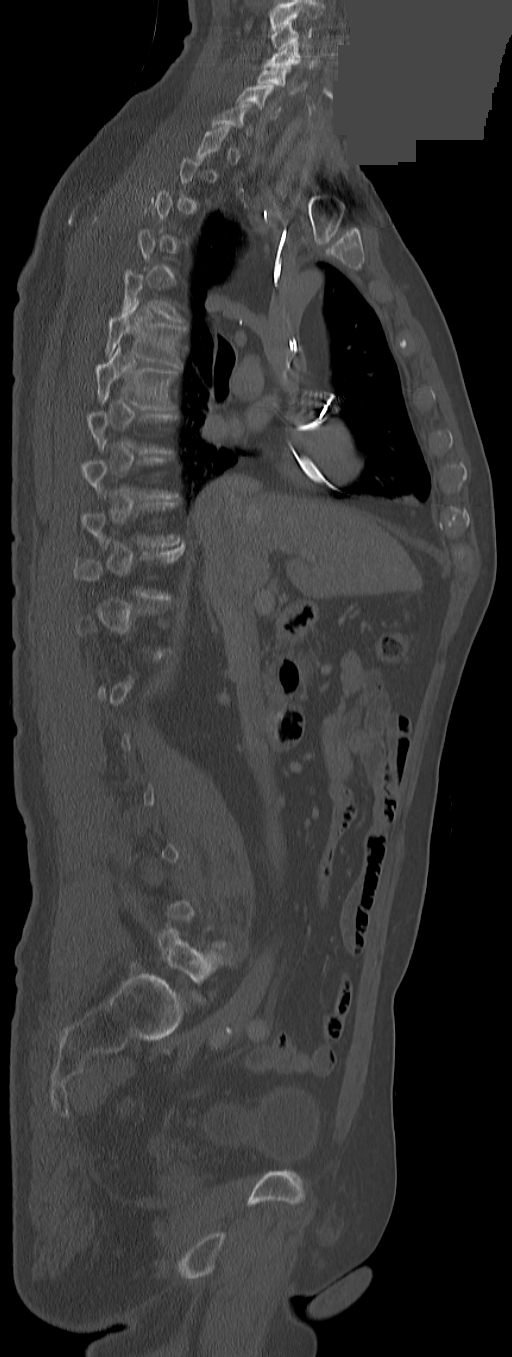 CT — sagittal view — Bone window (WL 400, WW 1800) — a portion of the image is blanked out (constant pixel value)
Box edges are left/top/right/bottom in pixels.
Not every vertebra on this slice has a box: a vertebra is boxed only from the first to the last slice where its cross-section is at least a third of its largest, and this slice is outside that range for at least one of them.
In this scan, the topmost labeled vertebra is C3 and the lowest is L5.
| vertebra | x1 | y1 | x2 | y2 |
|---|---|---|---|---|
| C3 | 272 | 22 | 311 | 51 |
| C4 | 266 | 42 | 299 | 69 |
| C5 | 257 | 66 | 290 | 85 |
| C6 | 236 | 85 | 279 | 117 |
| T6 | 105 | 297 | 182 | 367 |
| T7 | 95 | 345 | 175 | 409 |
| L5 | 159 | 926 | 221 | 999 |